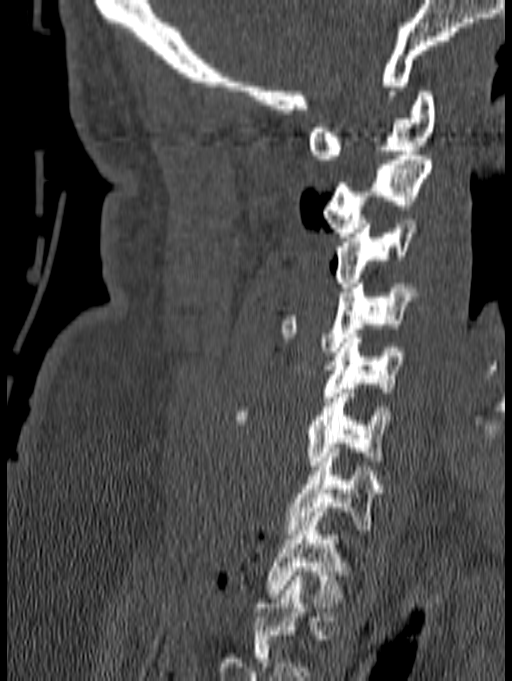

Spine CT; sagittal view; bone window
Box values are [left, top, right, bottom] in pixels.
This scan's labels start at C1 at the top and end at T1 at the bottom.
{"vertebrae":{"C1":[308,91,436,159],"C2":[322,151,432,237],"C3":[335,219,418,287],"C4":[279,279,419,351],"C5":[323,334,406,401],"C6":[232,384,393,470],"C7":[286,448,381,534],"T1":[265,507,347,602]}}